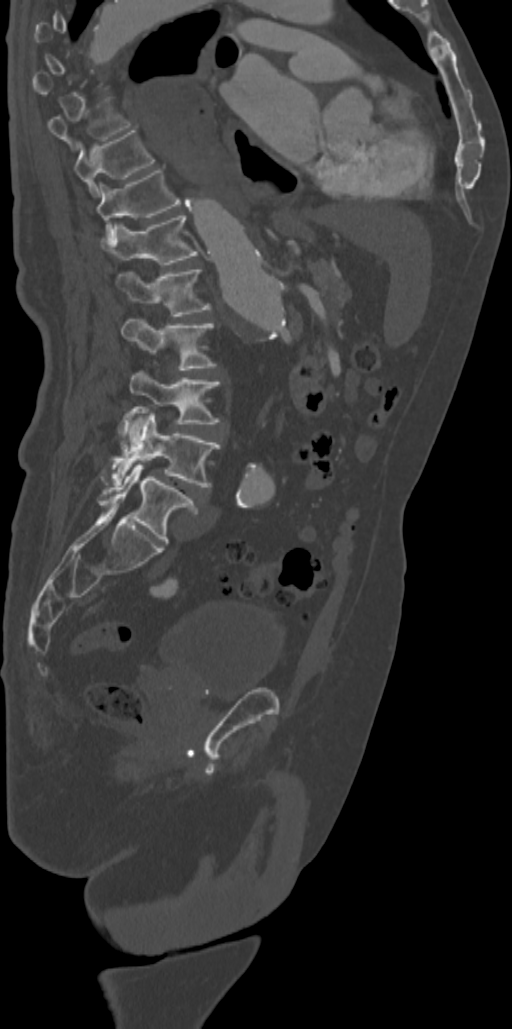
CT; sagittal view; W/L 1800/400 HU; 512x1029 px
Boxes: x1:y1:x2:y2 in pixels.
Each vertebra is boxed only on the slices from the first to the last where its cross-section reaches a third of its largest, so a slice outside that range leaves it unboxed.
Vertebra bounding boxes:
- T9: 48:112:129:147
- T10: 73:130:155:197
- T11: 96:168:180:242
- T12: 102:216:196:264
- L1: 115:270:210:316
- L2: 121:319:216:370
- L3: 130:371:220:439
- L4: 102:411:220:486
- L5: 97:463:198:543